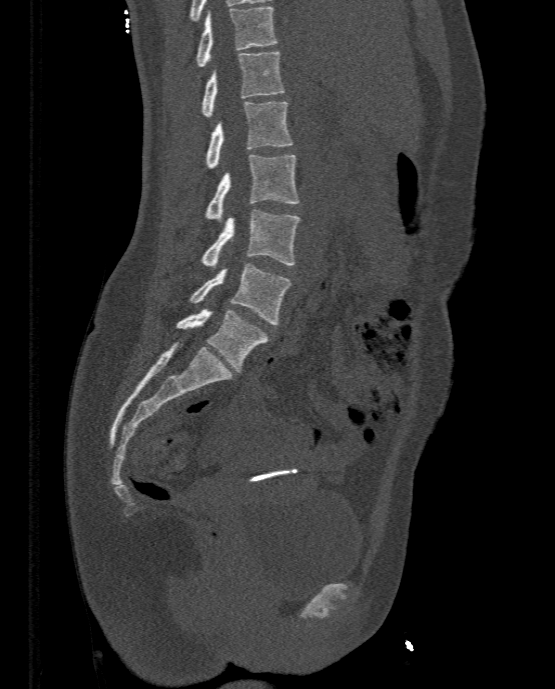
Spine CT; sagittal reformat; 555x689 px

Coordinates as <box>x1,y1,x2,y2</box>.
T11: <box>196,6,276,66</box>
T12: <box>202,51,284,117</box>
L1: <box>206,101,292,168</box>
L2: <box>205,154,298,221</box>
L3: <box>202,210,300,267</box>
L4: <box>190,263,291,324</box>
L5: <box>177,309,269,372</box>